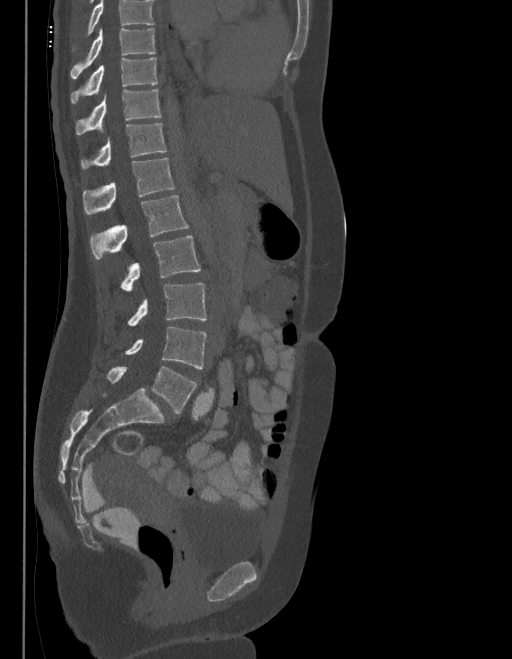

Computed tomography of the spine; sagittal reformat; bone-window reconstruction
A vertebra cut off by the top edge of the scan is not labeled and has no box.
In these labels the spine has an L6, a sixth lumbar vertebra below L5.
<vertebrae><v name="L6" x1="108" y1="367" x2="196" y2="413"/><v name="L5" x1="126" y1="327" x2="206" y2="369"/><v name="L4" x1="128" y1="282" x2="206" y2="326"/><v name="L3" x1="121" y1="236" x2="200" y2="292"/><v name="L2" x1="91" y1="196" x2="188" y2="259"/><v name="L1" x1="82" y1="158" x2="174" y2="214"/><v name="T12" x1="81" y1="123" x2="167" y2="168"/><v name="T11" x1="76" y1="89" x2="160" y2="134"/><v name="T10" x1="71" y1="58" x2="158" y2="104"/><v name="T9" x1="71" y1="29" x2="155" y2="78"/></vertebrae>